Spine CT — Sagittal slice 312/512 — W/L 1800/400 HU — 512x929 px — 13 vertebrae labeled in this scan
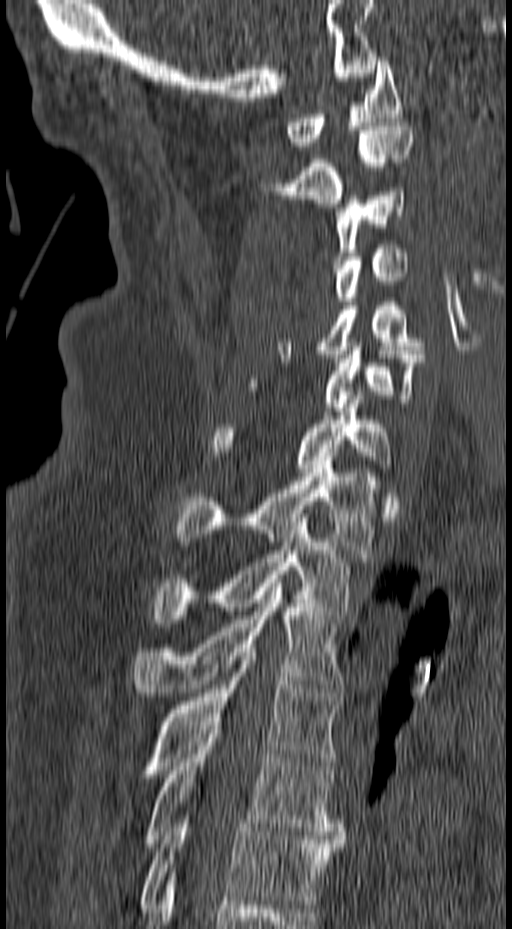
Each box given as x1,y1,x2,y2.
| vertebra | x1 | y1 | x2 | y2 |
|---|---|---|---|---|
| C1 | 287 | 57 | 401 | 146 |
| C2 | 275 | 122 | 413 | 207 |
| C3 | 334 | 188 | 404 | 260 |
| C4 | 335 | 245 | 408 | 305 |
| C5 | 277 | 302 | 424 | 358 |
| C6 | 248 | 346 | 424 | 415 |
| C7 | 210 | 387 | 392 | 472 |
| T1 | 174 | 461 | 377 | 553 |
| T2 | 151 | 518 | 349 | 627 |
| T3 | 132 | 583 | 343 | 696 |
| T4 | 141 | 648 | 339 | 778 |
| T5 | 145 | 726 | 343 | 851 |
| T6 | 142 | 819 | 343 | 908 |